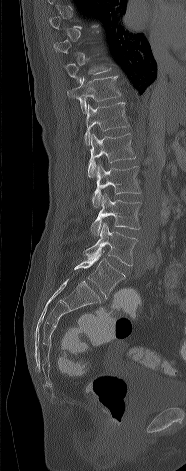 Computed tomography of the spine. sagittal reformat
Bounding boxes as [x1, y1, x2, y2] in pixel coordinates. Each vertebra is boxed only on the slices from the first to the last where its cross-section reaches a third of its largest, so a slice outside that range leaves it unboxed. The labeled vertebrae in this slice are: T10 at [65, 63, 111, 82], T11 at [67, 76, 120, 113], T12 at [84, 102, 129, 145], L1 at [88, 133, 135, 177], L2 at [92, 164, 141, 207], L3 at [90, 194, 141, 235], L4 at [83, 223, 137, 265], L5 at [74, 248, 125, 298].